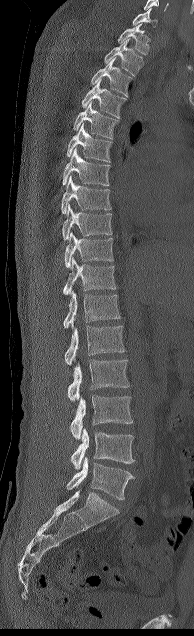 CT, spine; sagittal view
<vertebrae><v name="C7" x1="132" y1="7" x2="157" y2="27"/><v name="T1" x1="117" y1="23" x2="150" y2="54"/><v name="T2" x1="104" y1="38" x2="142" y2="75"/><v name="T3" x1="90" y1="58" x2="132" y2="96"/><v name="T4" x1="82" y1="79" x2="125" y2="117"/><v name="T5" x1="73" y1="102" x2="118" y2="139"/><v name="T6" x1="66" y1="123" x2="112" y2="162"/><v name="T7" x1="62" y1="148" x2="110" y2="186"/><v name="T8" x1="61" y1="176" x2="110" y2="214"/><v name="T9" x1="62" y1="205" x2="111" y2="240"/><v name="T10" x1="64" y1="232" x2="113" y2="267"/><v name="T11" x1="63" y1="257" x2="116" y2="295"/><v name="T12" x1="63" y1="290" x2="120" y2="328"/><v name="L1" x1="64" y1="325" x2="125" y2="365"/><v name="L2" x1="67" y1="359" x2="129" y2="402"/><v name="L3" x1="70" y1="395" x2="132" y2="439"/><v name="L4" x1="70" y1="428" x2="134" y2="469"/><v name="L5" x1="67" y1="456" x2="134" y2="499"/></vertebrae>